Spine CT — Sagittal slice 196/391 — W/L 1800/400 HU — 391x670 px
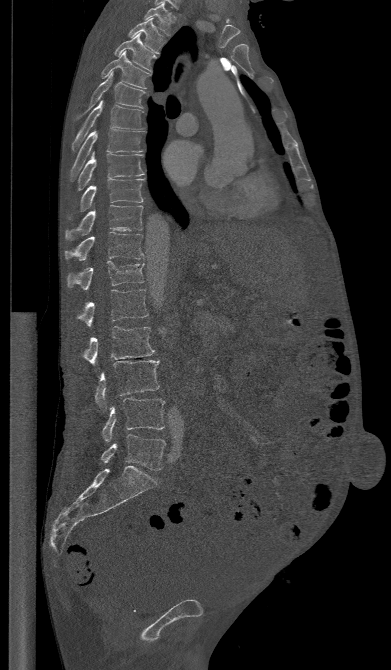 Each box given as x1,y1,x2,y2.
T1: x1=144, y1=3, x2=173, y2=35
T2: x1=128, y1=18, x2=164, y2=53
T3: x1=114, y1=33, x2=157, y2=70
T4: x1=101, y1=51, x2=151, y2=88
T5: x1=76, y1=71, x2=145, y2=119
T6: x1=72, y1=100, x2=144, y2=149
T7: x1=70, y1=128, x2=144, y2=180
T8: x1=76, y1=152, x2=143, y2=190
T9: x1=68, y1=179, x2=144, y2=219
T10: x1=65, y1=205, x2=142, y2=240
T11: x1=65, y1=232, x2=143, y2=260
T12: x1=67, y1=260, x2=144, y2=290
L1: x1=77, y1=289, x2=148, y2=326
L2: x1=81, y1=326, x2=154, y2=364
L3: x1=94, y1=360, x2=159, y2=409
L4: x1=102, y1=398, x2=164, y2=441
L5: x1=100, y1=434, x2=165, y2=470